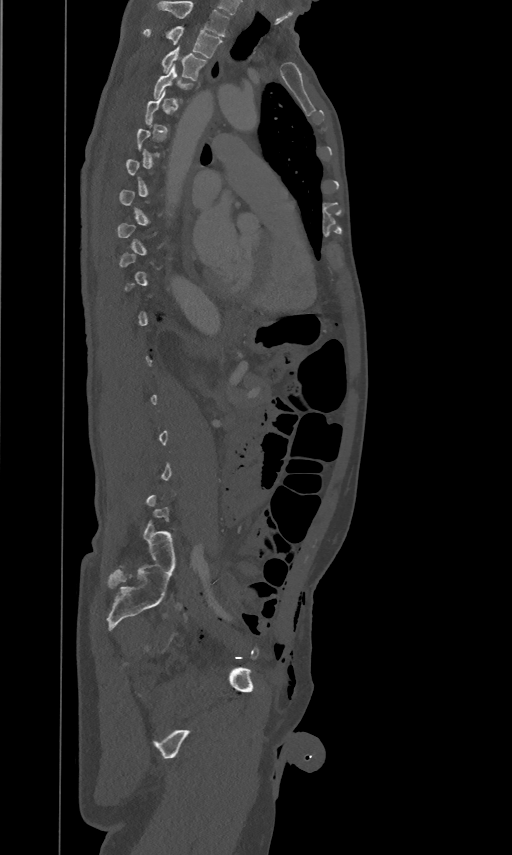

Computed tomography of the spine · image 461 mm wide · sagittal reformat · Bone window (WL 400, WW 1800)
Each box is [x1, y1, x2, y2] in pixels: top-left corner, then bottom-right corner.
Not every vertebra on this slice has a box: a vertebra is boxed only from the first to the last slice where its cross-section is at least a third of its largest, and this slice is outside that range for at least one of them.
Labels in this scan begin with T2 at the top and end with L5 at the bottom.
{"vertebrae":{"T4":[154,64,192,98],"T3":[162,45,205,80],"T2":[143,25,222,57]}}